CT spine; sagittal plane, index 163
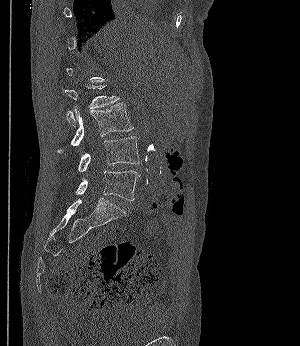 Coordinates as <box>x1,y1,x2,y2</box>.
Each vertebra is boxed only on the slices from the first to the last where its cross-section reaches a third of its largest, so a slice outside that range leaves it unboxed.
Vertebra bounding boxes:
- L2: <box>59,85,119,125</box>
- L3: <box>58,102,133,153</box>
- L4: <box>78,136,141,172</box>
- L5: <box>75,170,139,201</box>